Spine computed tomography — Sagittal slice 258/512 — the image is 467 mm wide — 778x725 px — 8 vertebrae labeled in this scan
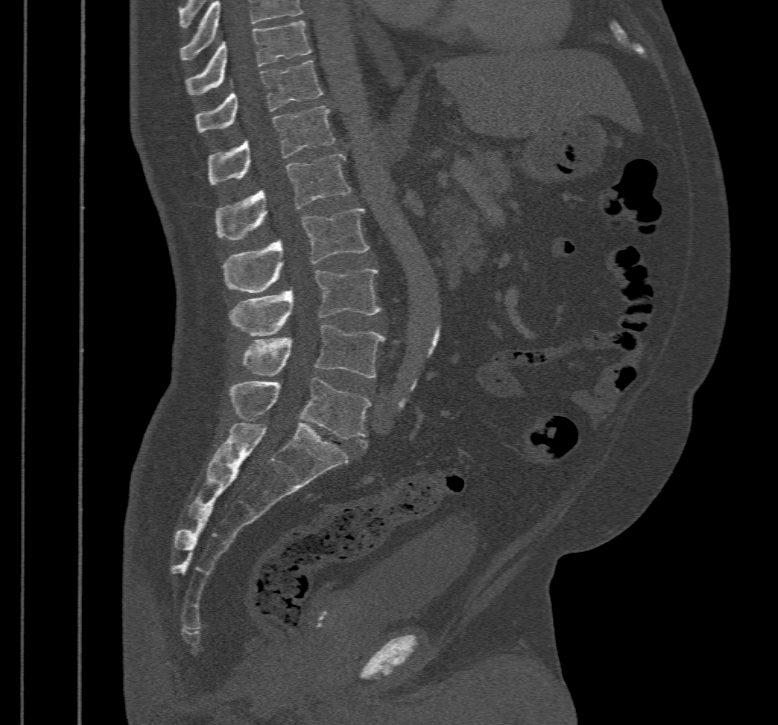
Box edges are left/top/right/bottom in pixels. Labels in this scan begin with T10 at the top and end with L5 at the bottom. The labeled vertebrae in this slice are: T10 at left=185, top=20, right=311, bottom=94, T11 at left=195, top=60, right=323, bottom=133, T12 at left=208, top=105, right=335, bottom=184, L1 at left=214, top=154, right=350, bottom=239, L2 at left=223, top=209, right=368, bottom=293, L3 at left=230, top=268, right=381, bottom=336, L4 at left=242, top=324, right=385, bottom=378, L5 at left=230, top=377, right=370, bottom=448.